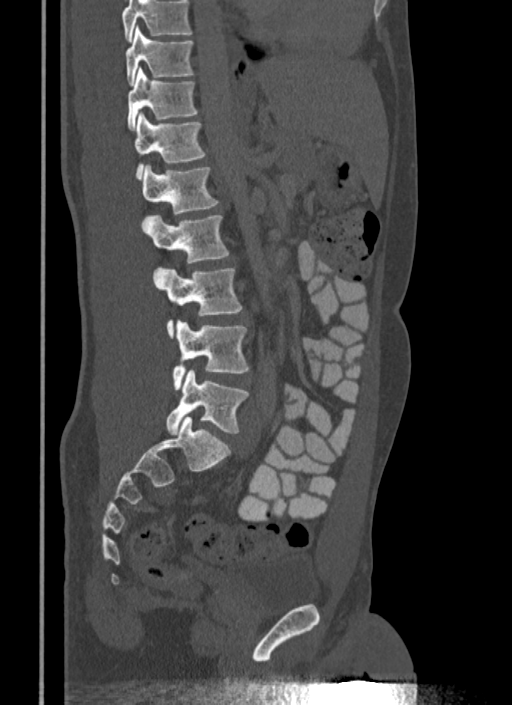
CT. sagittal view. image width 340 mm
Boxes are (x1, y1, x2, y2) in pixels.
A vertebra cut off by the top edge of the scan is not labeled and has no box.
Vertebra bounding boxes:
- T10: (126, 26, 195, 85)
- T11: (128, 68, 198, 130)
- T12: (134, 111, 205, 177)
- L1: (143, 164, 219, 223)
- L2: (146, 215, 229, 263)
- L3: (153, 268, 241, 335)
- L4: (173, 321, 249, 389)
- L5: (165, 370, 249, 434)